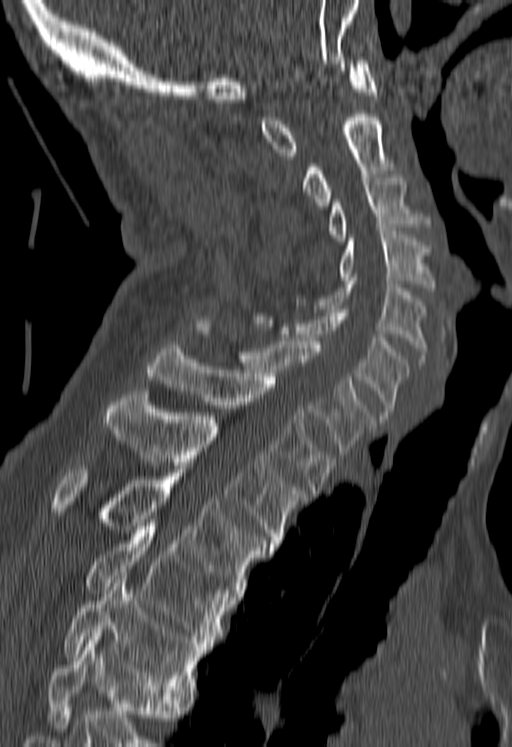

Spine computed tomography — sagittal view — Bone window (WL 400, WW 1800)
Each box given as x1,y1,x2,y2. Where the bottom of the scan cuts through a vertebra, that vertebra gets no label or box. 12 vertebrae labeled — T5 at x1=63, y1=572, x2=208, y2=696; T4 at x1=83, y1=523, x2=230, y2=643; T3 at x1=49, y1=466, x2=270, y2=596; T2 at x1=103, y1=391, x2=307, y2=547; T1 at x1=146, y1=345, x2=336, y2=493; C7 at x1=195, y1=320, x2=373, y2=454; C6 at x1=254, y1=309, x2=407, y2=419; C5 at x1=294, y1=277, x2=427, y2=362; C4 at x1=339, y1=228, x2=432, y2=291; C3 at x1=328, y1=174, x2=429, y2=241; C2 at x1=302, y1=114, x2=390, y2=209; C1 at x1=261, y1=60, x2=376, y2=155.